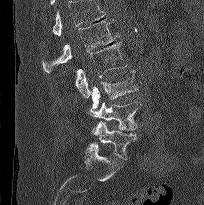 CT spine · sagittal reformat
Boxes are given in columns x1, y1, x2, y2, the pixel coordinates of their top-left and bottom-right corners.
No box is given to a vertebra that the top edge of the scan cuts off.
| vertebra | x1 | y1 | x2 | y2 |
|---|---|---|---|---|
| L1 | 42 | 20 | 119 | 73 |
| L2 | 75 | 42 | 126 | 98 |
| L3 | 91 | 70 | 137 | 109 |
| L4 | 90 | 101 | 141 | 130 |
| L5 | 92 | 121 | 137 | 159 |